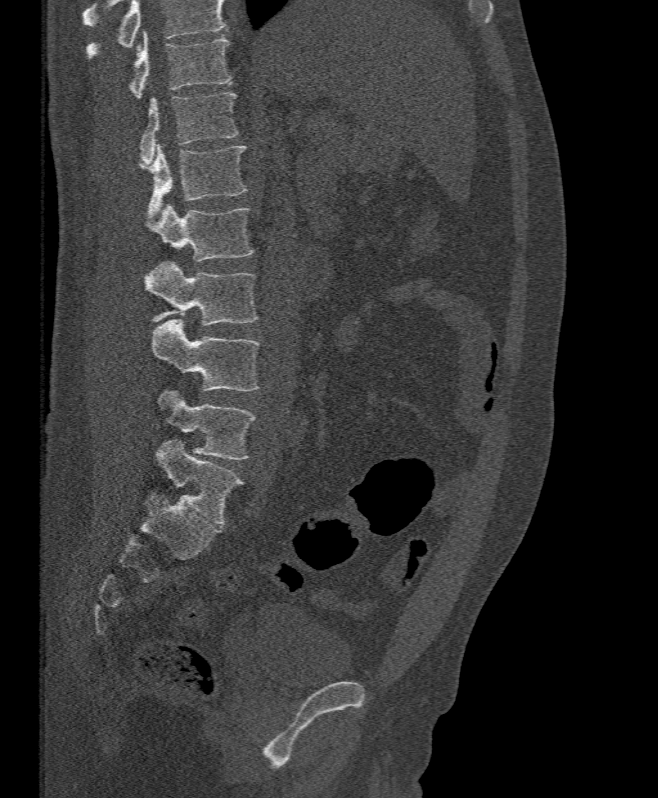

CT, spine · sagittal reformat · Bone window (WL 400, WW 1800) · 658x798 px
Boxes: x1:y1:x2:y2 in pixels. Vertebrae that run past the top of the scan are left unlabeled. The labeled vertebrae in this slice are: T11 at 129:32:230:99, T12 at 140:92:239:163, L1 at 138:145:247:217, L2 at 145:205:254:261, L3 at 145:262:259:326, L4 at 150:319:260:391, L5 at 157:388:255:459.